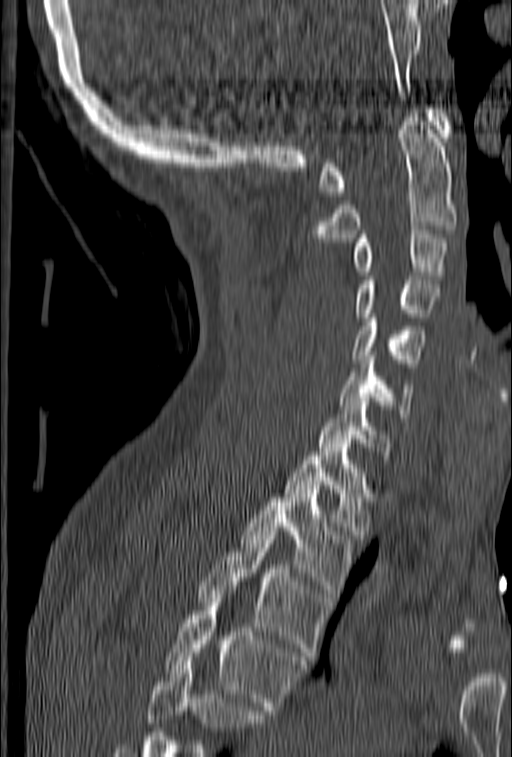

Spine CT; sagittal view; image 153 mm wide; bone-window reconstruction; 512x757 px

Coordinates as <box>x1,y1,x2,y2</box>.
Where the bottom of the scan cuts through a vertebra, that vertebra gets no label or box.
Vertebra bounding boxes:
- T4: <box>164,590,306,710</box>
- T3: <box>197,531,331,660</box>
- T2: <box>240,485,355,597</box>
- T1: <box>283,443,371,539</box>
- C7: <box>319,393,392,459</box>
- C6: <box>339,356,414,417</box>
- C5: <box>352,310,425,367</box>
- C4: <box>356,276,439,317</box>
- C3: <box>353,230,449,279</box>
- C2: <box>310,109,457,242</box>
- C1: <box>319,105,456,196</box>